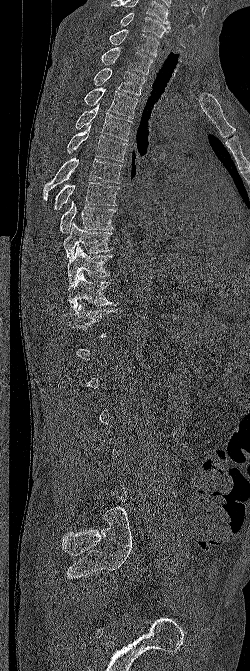
Spine computed tomography. image 250 mm wide. sagittal reformat. bone window

Each box given as x1,y1,x2,y2.
A vertebra gets a box only on the slices from the first to the last where its cross-section is at least a third of its largest; on a slice outside that range it gets none.
In this scan, the topmost labeled vertebra is C6 and the lowest is L5.
Vertebra bounding boxes:
- C6: x1=120, y1=12, x2=171, y2=37
- C7: x1=109, y1=29, x2=159, y2=55
- T1: x1=101, y1=47, x2=153, y2=74
- T2: x1=93, y1=68, x2=145, y2=95
- T3: x1=84, y1=87, x2=137, y2=118
- T4: x1=75, y1=104, x2=132, y2=141
- T5: x1=67, y1=124, x2=127, y2=162
- T6: x1=43, y1=158, x2=122, y2=200
- T7: x1=53, y1=182, x2=119, y2=210
- T8: x1=59, y1=201, x2=116, y2=233
- T9: x1=63, y1=222, x2=113, y2=258
- T10: x1=67, y1=245, x2=113, y2=284
- T11: x1=68, y1=273, x2=116, y2=310
- T12: x1=62, y1=303, x2=113, y2=338